CT · sagittal plane, index 220 · bone window · 18 vertebrae labeled in this scan
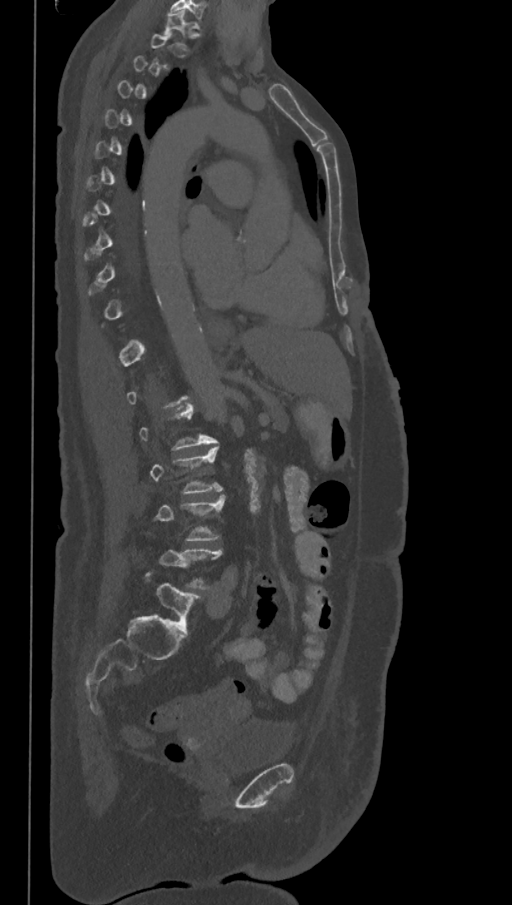 A vertebra gets a box only on the slices from the first to the last where its cross-section is at least a third of its largest; on a slice outside that range it gets none.
The labels name a sixth lumbar vertebra for this spine: L6, after L5.
<vertebrae><v name="L3" x1="150" y1="446" x2="223" y2="492"/><v name="L4" x1="156" y1="496" x2="224" y2="540"/><v name="L5" x1="160" y1="550" x2="223" y2="589"/><v name="L6" x1="144" y1="571" x2="201" y2="633"/></vertebrae>